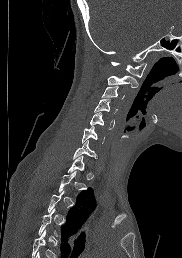 CT, spine; image width 182 mm; sagittal view; 182x258 px
Box edges are left/top/right/bottom in pixels.
A vertebra gets a box only on the slices from the first to the last where its cross-section is at least a third of its largest; on a slice outside that range it gets none.
C1: left=111, top=62, right=146, bottom=77
C2: left=107, top=75, right=138, bottom=87
C3: left=101, top=86, right=124, bottom=98
C4: left=94, top=98, right=117, bottom=112
C5: left=90, top=112, right=114, bottom=129
C6: left=82, top=126, right=104, bottom=143
C7: left=73, top=140, right=96, bottom=159